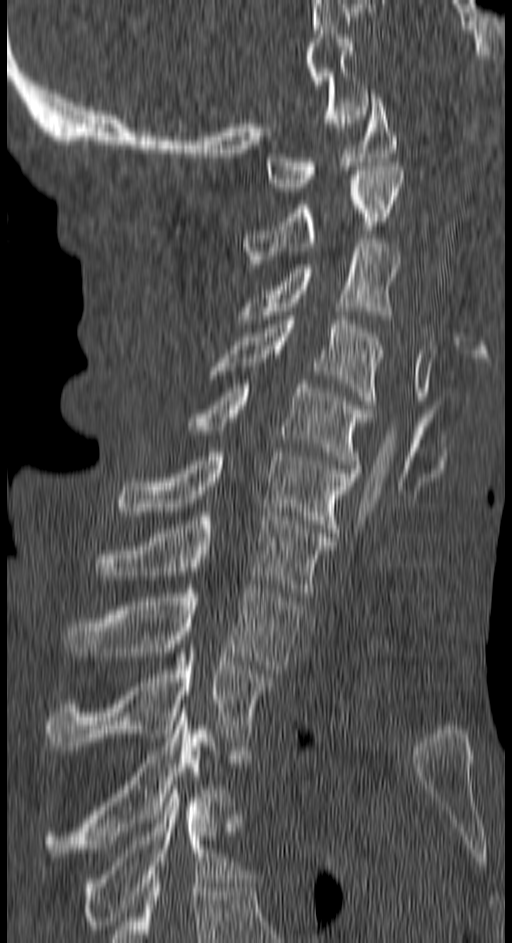 CT · sagittal view · 150 mm image width

Boxes: x1:y1:x2:y2 in pixels.
C1: 267:94:396:191
C2: 244:166:404:272
C3: 239:239:400:323
C4: 213:316:383:404
C5: 189:380:369:468
C6: 117:452:359:537
C7: 97:512:331:596
T1: 66:585:301:673
T2: 46:649:274:750
T3: 46:708:225:852
T4: 83:789:236:933